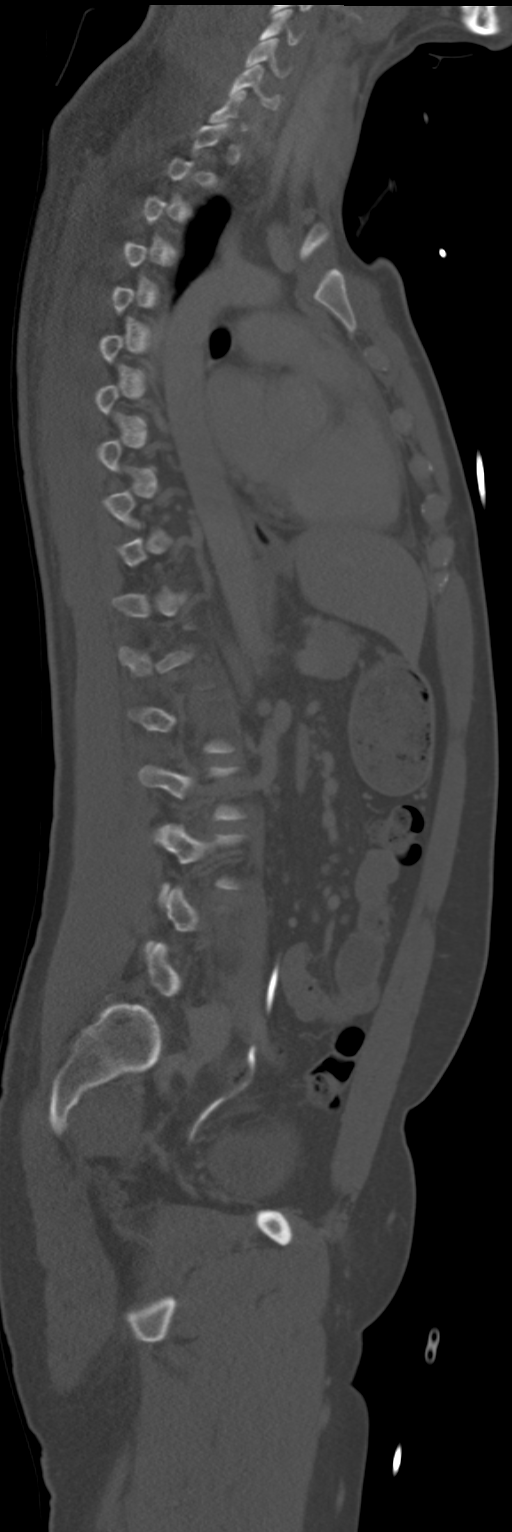

Spine computed tomography; sagittal view; bone-window reconstruction
Box values are [left, top, right, bottom] in pixels.
Not every vertebra on this slice has a box: a vertebra is boxed only from the first to the last slice where its cross-section is at least a third of its largest, and this slice is outside that range for at least one of them.
{"vertebrae":{"C4":[259,9,299,45],"C5":[245,38,286,76],"C6":[229,65,280,109]}}